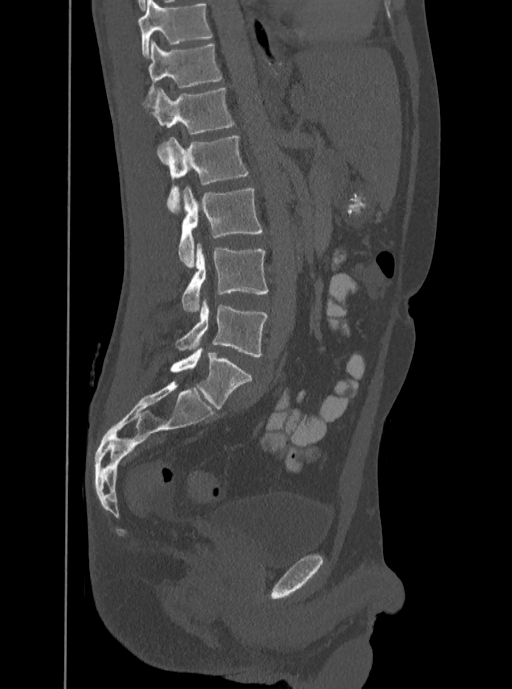 Computed tomography of the spine; sagittal view; bone-window reconstruction. Bounding boxes as [x1, y1, x2, y2] in pixel coordinates.
The highest labeled vertebra in this scan is T12; the lowest is L5.
L5: [175, 299, 268, 357]
L4: [181, 244, 268, 311]
L3: [178, 187, 262, 268]
L2: [157, 136, 249, 212]
L1: [143, 87, 234, 133]
T12: [148, 39, 223, 98]